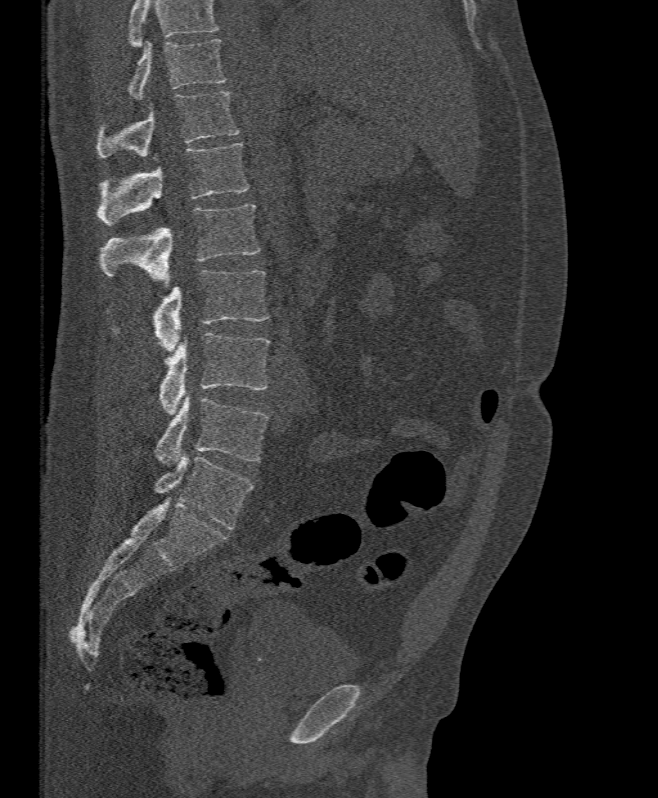
Spine CT; sagittal view; 658x798 px
Each box given as x1,y1,x2,y2.
Where the top of the scan cuts through a vertebra, that vertebra gets no label or box.
Vertebra bounding boxes:
- T11: x1=129, y1=38, x2=227, y2=99
- T12: x1=96, y1=92, x2=239, y2=157
- L1: x1=96, y1=143, x2=248, y2=224
- L2: x1=100, y1=203, x2=260, y2=289
- L3: x1=153, y1=270, x2=269, y2=352
- L4: x1=159, y1=333, x2=270, y2=414
- L5: x1=154, y1=392, x2=269, y2=466